CT, spine — sagittal view — 228x376 px — 5 vertebrae labeled in this scan — image 228 mm wide
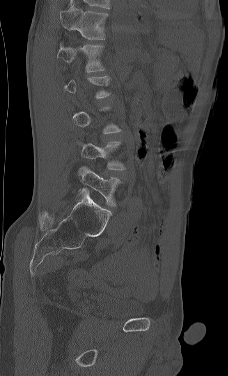

A vertebra gets a box only on the slices from the first to the last where its cross-section is at least a third of its largest; on a slice outside that range it gets none.
In this scan, the topmost labeled vertebra is L1 and the lowest is L5.
<vertebrae><v name="L1" x1="57" y1="42" x2="104" y2="72"/><v name="L4" x1="77" y1="140" x2="125" y2="170"/><v name="L5" x1="77" y1="166" x2="121" y2="206"/></vertebrae>